Computed tomography of the spine · Sagittal slice 269/512 · 17 vertebrae labeled in this scan
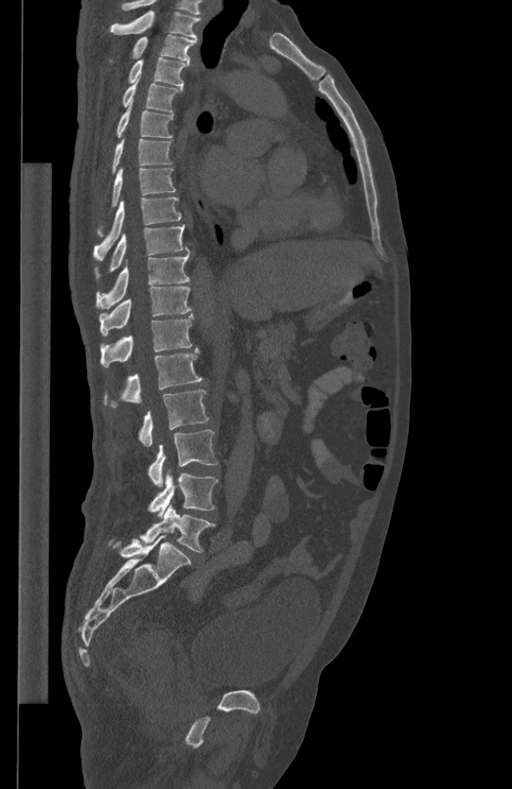

Boxes: x1 y1 x2 y2 (pixel coords, space-separated).
Vertebra bounding boxes:
- L5: 139 504 215 552
- L4: 149 470 218 516
- L3: 147 430 217 487
- L2: 138 390 209 446
- L1: 104 348 203 407
- T12: 100 313 194 366
- T11: 99 287 191 335
- T10: 97 251 190 309
- T9: 95 225 189 278
- T8: 94 196 181 259
- T7: 96 167 176 236
- T6: 111 138 172 173
- T5: 117 102 174 138
- T4: 121 80 182 112
- T3: 127 57 189 86
- T2: 131 35 196 60
- T1: 110 11 201 38